CT; sagittal view; bone window; the image is 350 mm wide; 512x935 px
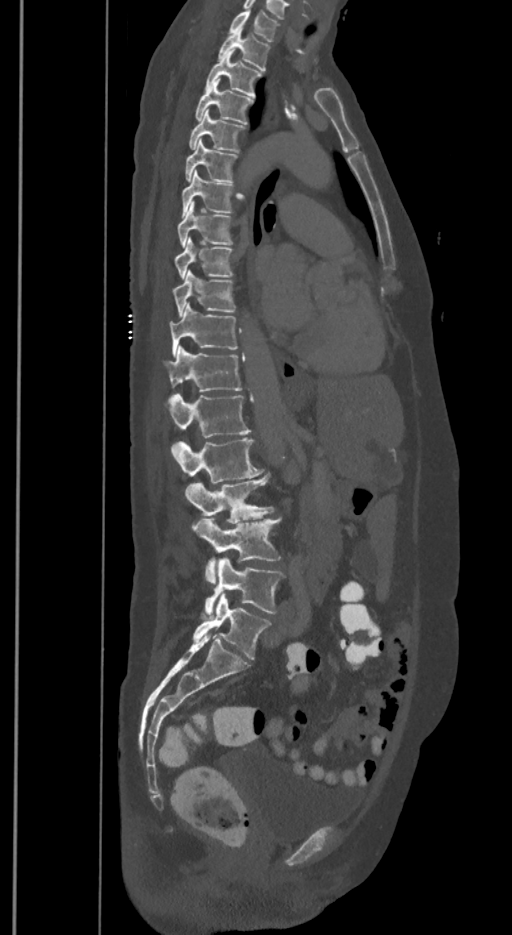
Bounding boxes as [x1, y1, x2, y2] in pixel coordinates. These labels give the spine a sixth lumbar vertebra, L6, below L5. Vertebrae labeled: T1 at [229, 9, 278, 41], T2 at [218, 28, 269, 71], T3 at [206, 50, 261, 95], T4 at [196, 79, 253, 124], T5 at [188, 109, 245, 152], T6 at [186, 140, 237, 182], T7 at [181, 170, 231, 216], T8 at [177, 201, 231, 247], T9 at [174, 237, 233, 278], T10 at [172, 271, 234, 316], T11 at [169, 303, 237, 356], T12 at [164, 346, 242, 391], L1 at [167, 394, 250, 437], L2 at [172, 438, 264, 483], L3 at [186, 474, 274, 523], L4 at [191, 517, 281, 584], L5 at [205, 557, 283, 615], L6 at [193, 594, 269, 659].